CT, spine — sagittal reformat — W/L 1800/400 HU — scan covers 11 annotated vertebrae — image width 140 mm
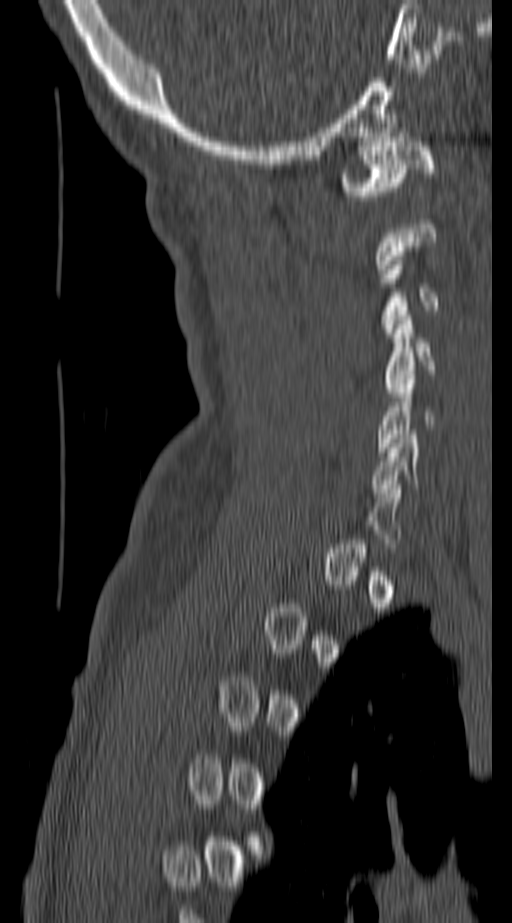
Boxes: x1 y1 x2 y2 (pixel coords, space-separated).
Each vertebra is boxed only on the slices from the first to the last where its cross-section reaches a third of its largest, so a slice outside that range leaves it unboxed.
Vertebra bounding boxes:
- C1: 341 137 436 200
- C3: 382 256 439 337
- C4: 385 315 436 388
- C5: 377 370 434 452